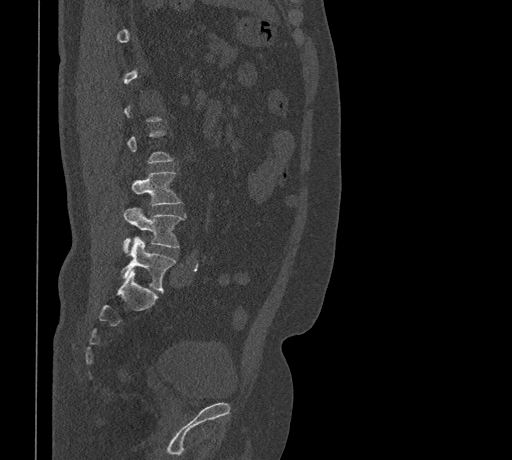

CT spine — sagittal view — 512x460 px
Each box is [x1, y1, x2, y2] in pixels: top-left corner, then bottom-right corner.
A vertebra gets a box only on the slices from the first to the last where its cross-section is at least a third of its largest; on a slice outside that range it gets none.
{"vertebrae":{"L3":[132,171,181,206],"L4":[123,208,182,251],"L5":[121,237,175,291]}}